Spine CT; sagittal reformat; 512x512 px; scan covers 10 annotated vertebrae
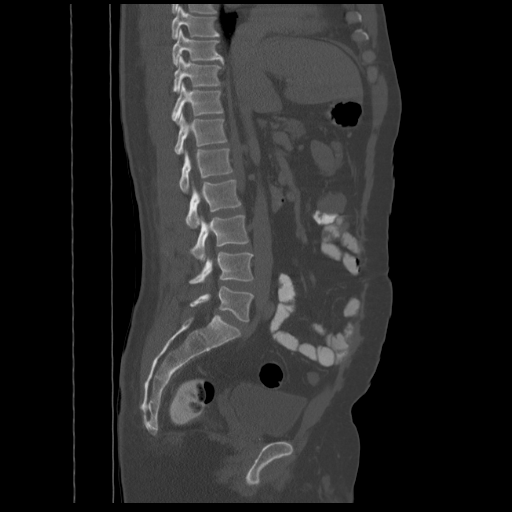 Box edges are left/top/right/bottom in pixels.
| vertebra | x1 | y1 | x2 | y2 |
|---|---|---|---|---|
| T8 | 171 | 7 | 219 | 38 |
| T9 | 172 | 29 | 223 | 65 |
| T10 | 173 | 56 | 220 | 91 |
| T11 | 172 | 82 | 223 | 122 |
| T12 | 174 | 111 | 227 | 154 |
| L1 | 179 | 149 | 233 | 192 |
| L2 | 185 | 179 | 241 | 228 |
| L3 | 190 | 215 | 248 | 261 |
| L4 | 189 | 251 | 253 | 283 |
| L5 | 190 | 286 | 253 | 321 |